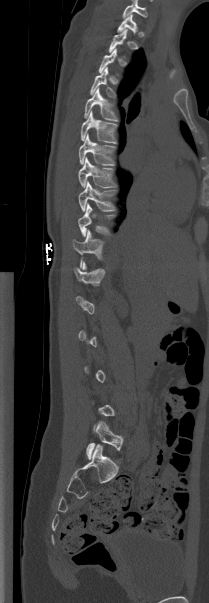

CT, spine. sagittal view. image width 209 mm
A vertebra gets a box only on the slices from the first to the last where its cross-section is at least a third of its largest; on a slice outside that range it gets none.
Labels in this scan begin with T1 at the top and end with L5 at the bottom.
<vertebrae><v name="T1" x1="117" y1="14" x2="137" y2="34"/><v name="T4" x1="90" y1="67" x2="114" y2="97"/><v name="T5" x1="84" y1="88" x2="117" y2="120"/><v name="T6" x1="80" y1="112" x2="116" y2="143"/><v name="T7" x1="78" y1="134" x2="115" y2="165"/><v name="T8" x1="78" y1="157" x2="115" y2="187"/><v name="T9" x1="78" y1="181" x2="115" y2="211"/><v name="T10" x1="78" y1="204" x2="113" y2="236"/><v name="T11" x1="73" y1="229" x2="103" y2="267"/><v name="T12" x1="74" y1="262" x2="104" y2="283"/><v name="L5" x1="86" y1="421" x2="123" y2="459"/></vertebrae>